CT. sagittal plane, index 97
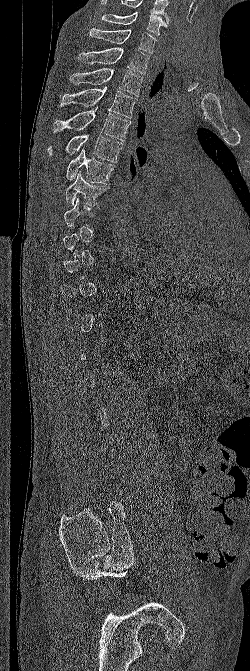

Boxes are (x1, y1, x2, y2) in pixels.
Not every vertebra on this slice has a box: a vertebra is boxed only from the first to the last slice where its cross-section is at least a third of its largest, and this slice is outside that range for at least one of them.
In this scan, the topmost labeled vertebra is C6 and the lowest is L5.
C6: (101, 12, 167, 36)
C7: (89, 28, 156, 54)
T1: (77, 47, 149, 74)
T2: (70, 68, 142, 96)
T3: (60, 87, 137, 118)
T4: (53, 107, 131, 141)
T5: (47, 134, 124, 162)
T6: (66, 148, 115, 183)
T7: (65, 171, 109, 206)